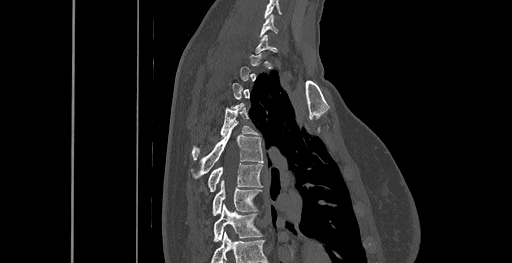 CT spine. sagittal view. Bone window (WL 400, WW 1800). 461 mm wide. 512x263 px. Boxes are (x1, y1, x2, y2) in pixels.
Not every vertebra on this slice has a box: a vertebra is boxed only from the first to the last slice where its cross-section is at least a third of its largest, and this slice is outside that range for at least one of them.
This scan's labels start at C6 at the top and end at T8 at the bottom.
Vertebra bounding boxes:
- C6: (260, 14, 277, 36)
- T4: (192, 105, 258, 160)
- T5: (191, 124, 263, 179)
- T6: (207, 163, 262, 192)
- T7: (212, 181, 261, 215)
- T8: (213, 204, 262, 241)